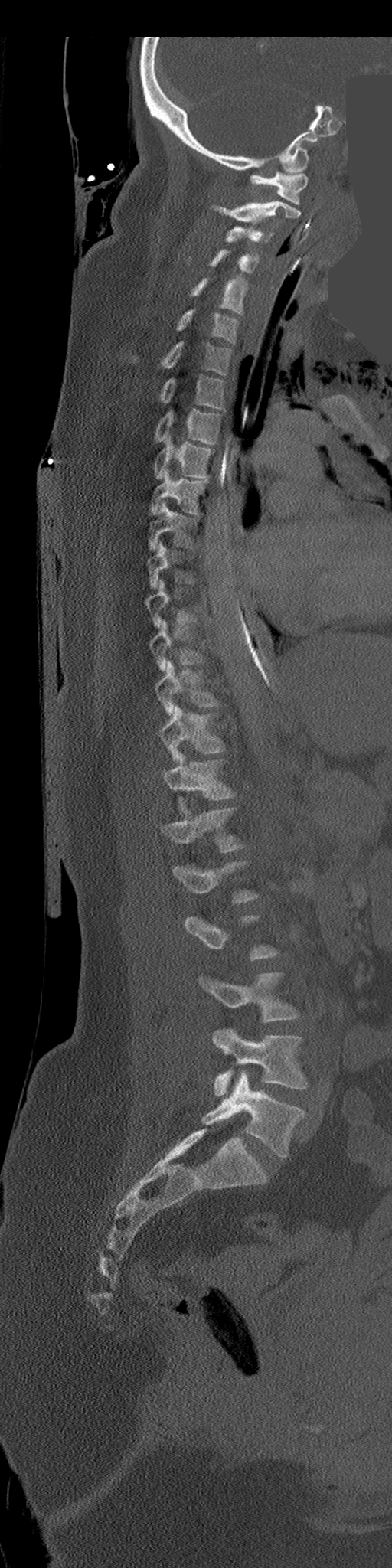

CT. sagittal reformat. 206 mm across the image. a portion of the image is blanked out (constant pixel value)

Coordinates as <box>x1,y1,x2,y2</box>.
A vertebra is boxed only from the first to the last slice where its cross-section is at least a third of its largest; slices outside that range leave it without a box.
C1: <box>250,170,308,204</box>
C2: <box>211,201,301,224</box>
C3: <box>225,225,273,242</box>
C4: <box>210,250,259,272</box>
C5: <box>191,279,245,314</box>
C6: <box>175,309,237,342</box>
C7: <box>161,341,232,374</box>
T1: <box>158,375,224,409</box>
T2: <box>155,410,220,443</box>
T3: <box>153,438,213,479</box>
T4: <box>149,469,207,514</box>
T5: <box>149,503,196,550</box>
T7: <box>145,579,205,627</box>
T8: <box>149,619,201,671</box>
T9: <box>155,661,219,715</box>
T10: <box>161,707,224,762</box>
T11: <box>164,753,236,808</box>
T12: <box>162,808,243,852</box>
L1: <box>174,861,259,903</box>
L3: <box>198,973,299,1021</box>
L4: <box>212,1028,308,1096</box>
L5: <box>202,1070,304,1158</box>